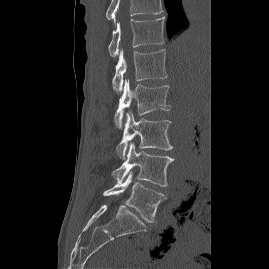
CT, spine — image 269 mm wide — sagittal view — bone window

Each box given as x1,y1,x2,y2.
Labels in this scan begin with T12 at the top and end with L5 at the bottom.
Vertebra bounding boxes:
- L5: x1=103, y1=171, x2=166, y2=222
- L4: x1=111, y1=143, x2=173, y2=186
- L3: x1=116, y1=111, x2=172, y2=158
- L2: x1=114, y1=79, x2=170, y2=128
- L1: x1=112, y1=49, x2=167, y2=96
- T12: x1=108, y1=16, x2=164, y2=56